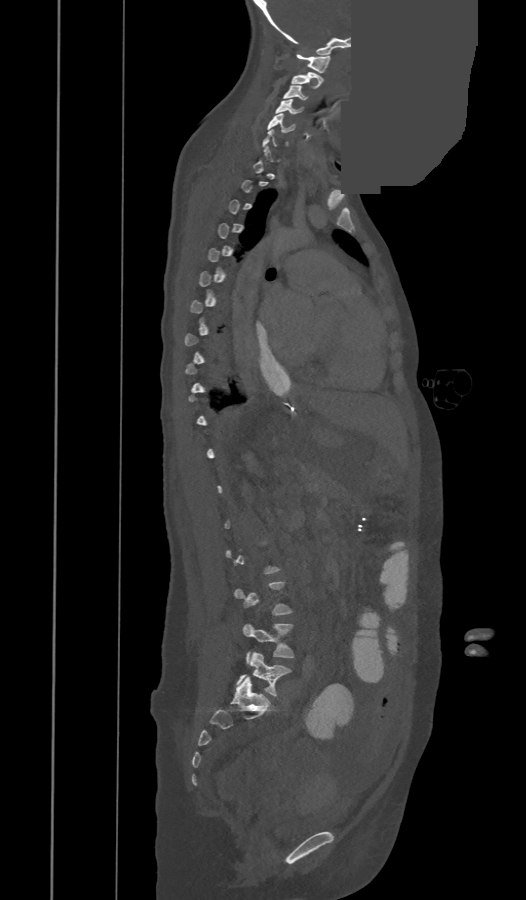 Spine CT; sagittal reformat; a region of this slice is masked with a uniform fill

Each box given as x1,y1,x2,y2.
Each vertebra is boxed only on the slices from the first to the last where its cross-section reaches a third of its largest, so a slice outside that range leaves it unboxed.
Vertebra bounding boxes:
- C1: x1=296, y1=54, x2=331, y2=73
- C2: x1=292, y1=72, x2=322, y2=88
- C3: x1=283, y1=85, x2=307, y2=100
- C4: x1=275, y1=99, x2=301, y2=114
- C5: x1=268, y1=113, x2=295, y2=132
- L4: x1=243, y1=623, x2=293, y2=659
- L5: x1=237, y1=652, x2=291, y2=696